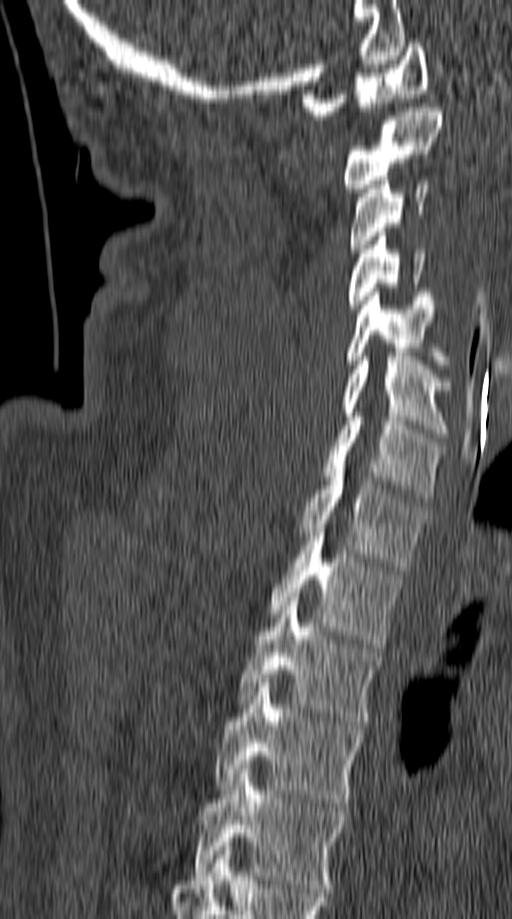
CT · sagittal view · W/L 1800/400 HU
<vertebrae><v name="C1" x1="303" y1="43" x2="428" y2="119"/><v name="C2" x1="341" y1="103" x2="443" y2="192"/><v name="C3" x1="348" y1="180" x2="430" y2="252"/><v name="C4" x1="348" y1="232" x2="426" y2="313"/><v name="C5" x1="347" y1="292" x2="450" y2="368"/><v name="C6" x1="341" y1="352" x2="454" y2="437"/><v name="C7" x1="324" y1="412" x2="444" y2="502"/><v name="T1" x1="298" y1="468" x2="426" y2="570"/><v name="T2" x1="269" y1="533" x2="402" y2="648"/><v name="T3" x1="238" y1="597" x2="382" y2="725"/><v name="T4" x1="214" y1="683" x2="364" y2="807"/><v name="T5" x1="191" y1="769" x2="347" y2="892"/></vertebrae>